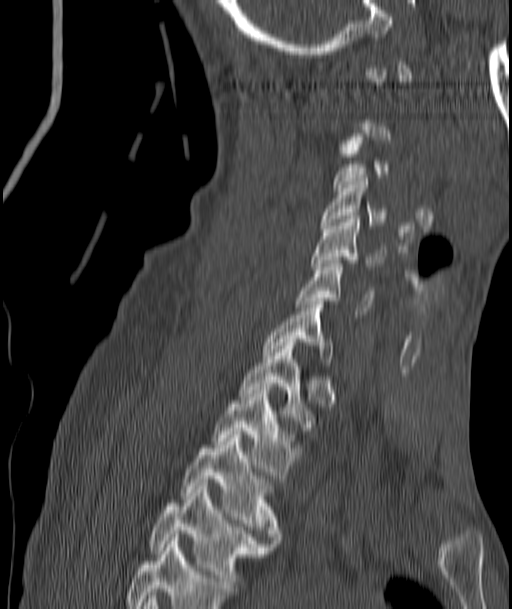 Spine computed tomography — sagittal view — image 187 mm wide — Bone window (WL 400, WW 1800) — 512x609 px. Boxes: x1:y1:x2:y2 in pixels. A vertebra is boxed only from the first to the last slice where its cross-section is at least a third of its largest; slices outside that range leave it without a box. Vertebrae labeled: T4 at 149:486:271:588, T3 at 182:431:279:543, T2 at 212:387:298:478, T1 at 239:339:312:430, C7 at 264:301:331:365, C6 at 297:260:373:314, C5 at 313:216:386:269, C4 at 321:178:386:228.